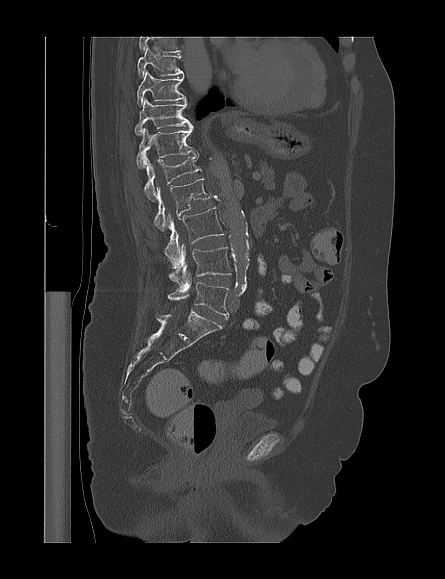

Spine computed tomography — sagittal view — 445x579 px
Each box given as x1,y1,x2,y2. This scan's labels start at T9 at the top and end at L5 at the bottom. 9 vertebrae labeled — T9 at x1=137, y1=46, x2=183, y2=77; T10 at x1=137, y1=70, x2=186, y2=107; T11 at x1=134, y1=98, x2=191, y2=135; T12 at x1=136, y1=126, x2=197, y2=168; L1 at x1=144, y1=155, x2=201, y2=201; L2 at x1=154, y1=178, x2=210, y2=232; L3 at x1=164, y1=207, x2=223, y2=264; L4 at x1=168, y1=244, x2=231, y2=285; L5 at x1=167, y1=273, x2=229, y2=318.